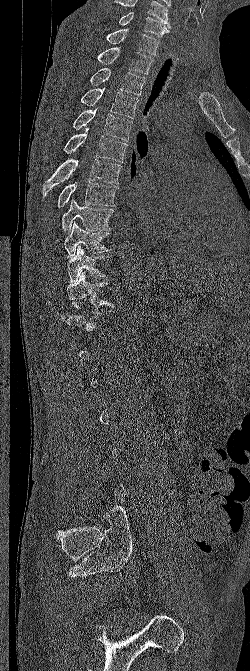 CT, spine · sagittal reformat
Boxes: x1 y1 x2 y2 (pixel coords, space-separated).
A vertebra is boxed only from the first to the last slice where its cross-section is at least a third of its largest; slices outside that range leave it without a box.
Labels in this scan begin with C6 at the top and end with L5 at the bottom.
C6: 119 12 170 37
C7: 106 29 159 55
T1: 97 47 153 74
T2: 89 68 145 95
T3: 81 88 138 118
T4: 73 107 132 141
T5: 63 127 127 162
T6: 43 159 121 197
T7: 57 182 118 207
T8: 62 199 113 234
T9: 64 221 111 257
T10: 67 245 110 283
T11: 67 271 113 308